CT, spine. the image spans 165 mm across. Sagittal slice 347/512
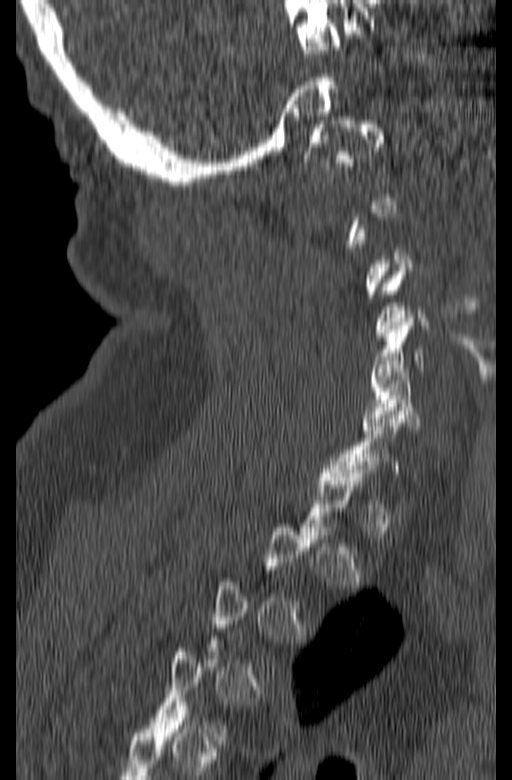

Box values are [left, top, right, bottom] in pixels.
A vertebra is boxed only from the first to the last slice where its cross-section is at least a third of its largest; slices outside that range leave it without a box.
{"vertebrae":{"C1":[304,120,385,166],"C6":[361,368,420,433]}}